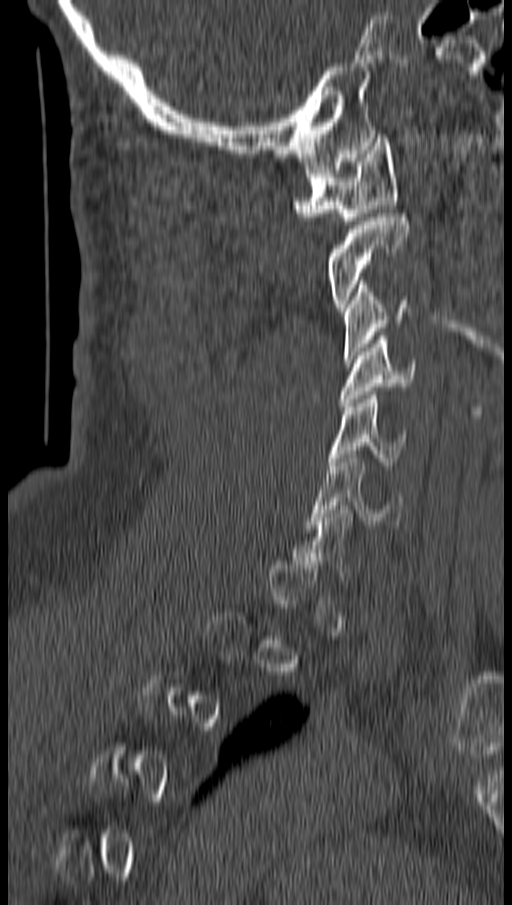

CT · sagittal view · image width 162 mm · bone-window reconstruction
Not every vertebra on this slice has a box: a vertebra is boxed only from the first to the last slice where its cross-section is at least a third of its largest, and this slice is outside that range for at least one of them.
<vertebrae><v name="C6" x1="308" y1="454" x2="404" y2="528"/><v name="C5" x1="330" y1="391" x2="407" y2="469"/><v name="C4" x1="339" y1="336" x2="417" y2="406"/><v name="C3" x1="344" y1="280" x2="411" y2="362"/><v name="C2" x1="327" y1="217" x2="408" y2="311"/><v name="C1" x1="295" y1="138" x2="398" y2="224"/></vertebrae>